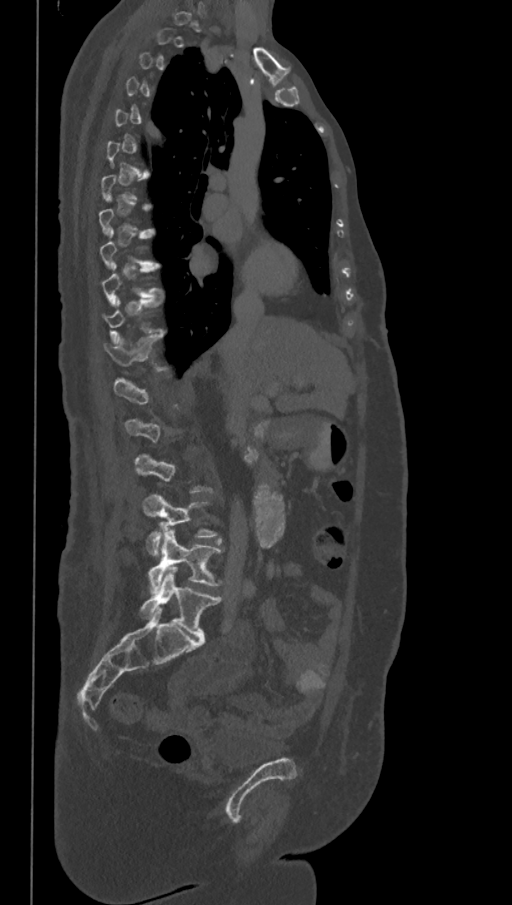
CT; sagittal reformat. Boxes: x1 y1 x2 y2 (pixel coords, space-separated).
A vertebra is boxed only from the first to the last slice where its cross-section is at least a third of its largest; slices outside that range leave it without a box.
These labels give the spine a sixth lumbar vertebra, L6, below L5.
Vertebra bounding boxes:
- L6: 140 567 221 638
- L5: 149 530 223 591
- L4: 143 493 219 555
- T12: 104 333 164 370
- T10: 101 263 162 305